CT; Sagittal slice 220/512; 11 vertebrae labeled in this scan
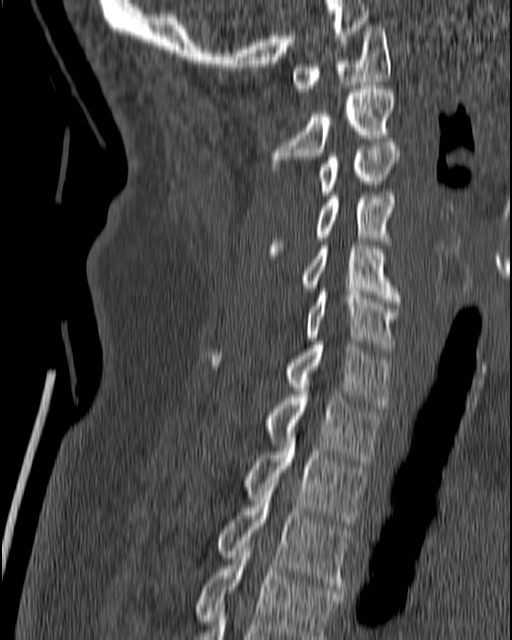 In the table, x1 and y1 are a box's top-left corner and x2 and y2 its bottom-right corner, in pixels.
| vertebra | x1 | y1 | x2 | y2 |
|---|---|---|---|---|
| T4 | 193 | 544 | 341 | 639 |
| T3 | 217 | 487 | 350 | 593 |
| T2 | 245 | 434 | 367 | 529 |
| T1 | 265 | 391 | 378 | 461 |
| C7 | 211 | 341 | 390 | 408 |
| C6 | 305 | 288 | 398 | 351 |
| C5 | 300 | 242 | 401 | 301 |
| C4 | 269 | 192 | 394 | 248 |
| C3 | 318 | 139 | 399 | 195 |
| C2 | 270 | 85 | 395 | 170 |
| C1 | 291 | 25 | 390 | 91 |